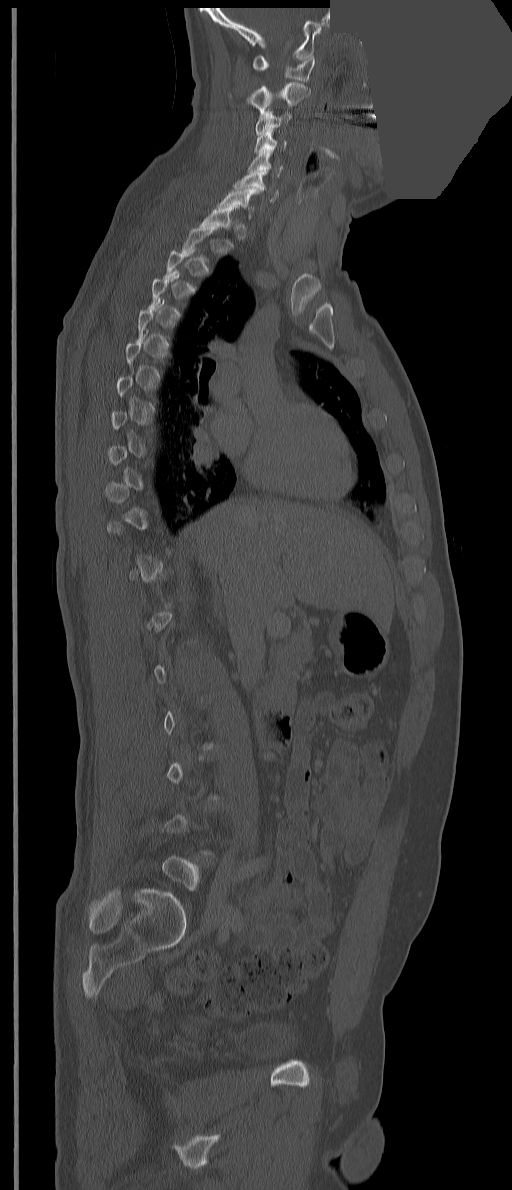

CT · the image is 351 mm wide · sagittal reformat · part of the image has been replaced by a constant value

Boxes: x1:y1:x2:y2 in pixels. Not every vertebra on this slice has a box: a vertebra is boxed only from the first to the last slice where its cross-section is at least a third of its largest, and this slice is outside that range for at least one of them. The labeled vertebrae in this slice are: C7 at 218:188:258:219, C6 at 233:169:277:201, C5 at 247:148:282:177, C4 at 254:130:286:152, C3 at 255:110:291:135, C2 at 247:82:310:112, C1 at 253:55:315:81.